Computed tomography of the spine — sagittal reformat — 5 vertebrae labeled in this scan — 177 mm wide
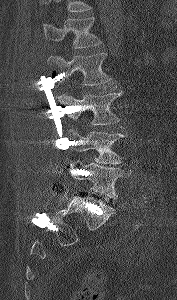 Each row gives a vertebra's box as x1, y1, x2, y2 in pixels: top-left corner, then bottom-right corner.
A vertebra cut off by the top edge of the scan is not labeled and has no box.
| vertebra | x1 | y1 | x2 | y2 |
|---|---|---|---|---|
| L5 | 69 | 161 | 127 | 199 |
| L4 | 65 | 128 | 126 | 164 |
| L3 | 59 | 92 | 122 | 125 |
| L2 | 47 | 52 | 112 | 85 |
| L1 | 42 | 17 | 102 | 48 |